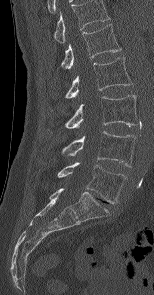
CT; sagittal view

Boxes: x1 y1 x2 y2 (pixel coords, space-separated). In this scan, the topmost labeled vertebra is L1 and the lowest is L5. The labeled vertebrae in this slice are: L5 at 57 162 127 203, L4 at 62 131 135 166, L3 at 65 95 137 128, L2 at 65 57 132 98, L1 at 61 24 121 68.